Computed tomography of the spine · sagittal view · 512x756 px · 350 mm wide
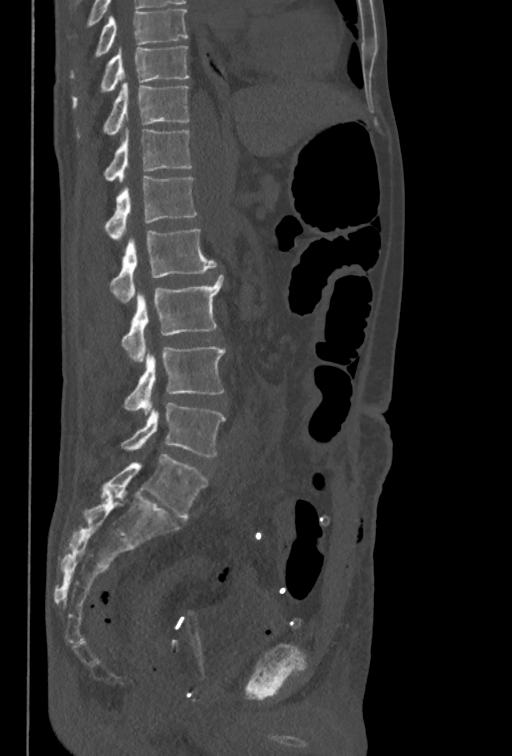

Boxes are given in columns x1, y1, x2, y2, the pixel coordinates of their top-left and bottom-right corners.
This scan's labels start at T10 at the top and end at L5 at the bottom.
| vertebra | x1 | y1 | x2 | y2 |
|---|---|---|---|---|
| T10 | 73 | 46 | 189 | 107 |
| T11 | 104 | 82 | 189 | 135 |
| T12 | 104 | 128 | 192 | 182 |
| L1 | 105 | 176 | 196 | 241 |
| L2 | 109 | 229 | 217 | 303 |
| L3 | 121 | 275 | 223 | 361 |
| L4 | 124 | 346 | 226 | 415 |
| L5 | 121 | 403 | 226 | 457 |